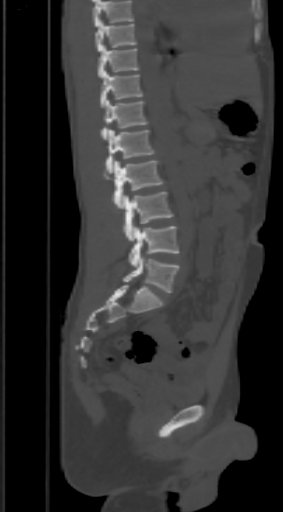 CT, spine; sagittal reformat; Bone window (WL 400, WW 1800)
Vertebrae that run past the top of the scan are left unlabeled.
<vertebrae><v name="L5" x1="123" y1="256" x2="178" y2="293"/><v name="L4" x1="129" y1="226" x2="178" y2="266"/><v name="L3" x1="123" y1="192" x2="173" y2="241"/><v name="L2" x1="104" y1="160" x2="164" y2="209"/><v name="L1" x1="106" y1="129" x2="153" y2="173"/><v name="T12" x1="101" y1="100" x2="147" y2="140"/><v name="T11" x1="101" y1="70" x2="142" y2="107"/><v name="T10" x1="98" y1="45" x2="139" y2="78"/><v name="T9" x1="95" y1="20" x2="136" y2="52"/></vertebrae>